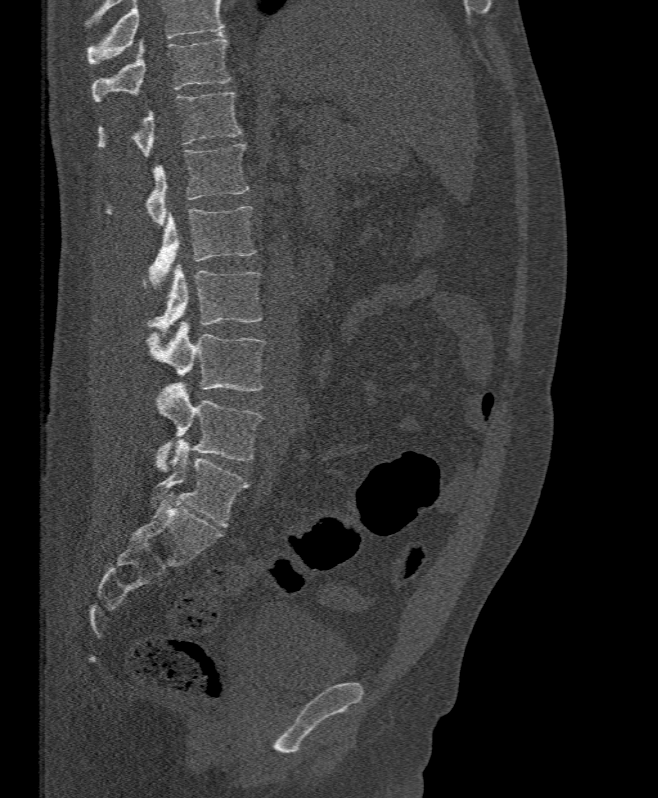
Spine computed tomography — sagittal view — Bone window (WL 400, WW 1800)

Each box given as x1,y1,x2,y2.
No box is given to a vertebra that the top edge of the scan cuts off.
| vertebra | x1 | y1 | x2 | y2 |
|---|---|---|---|---|
| L5 | 154 | 383 | 263 | 471 |
| L4 | 145 | 321 | 265 | 391 |
| L3 | 144 | 263 | 263 | 329 |
| L2 | 148 | 207 | 255 | 289 |
| L1 | 108 | 143 | 248 | 226 |
| T12 | 98 | 92 | 242 | 157 |
| T11 | 91 | 32 | 230 | 101 |